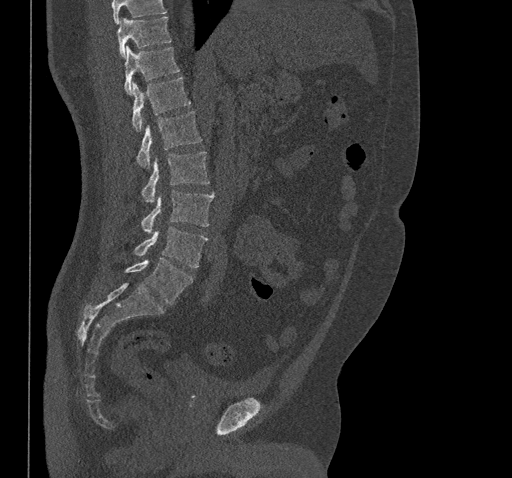
Spine CT; sagittal view
Boxes below are [x1, y1, x2, y2] in pixels.
No box is given to a vertebra that the top edge of the scan cuts off.
{"vertebrae":{"T10":[117,17,171,57],"T11":[124,47,180,94],"T12":[132,77,191,131],"L1":[136,111,202,168],"L2":[142,151,209,203],"L3":[141,190,214,234],"L4":[134,227,207,267],"L5":[125,258,193,304]}}